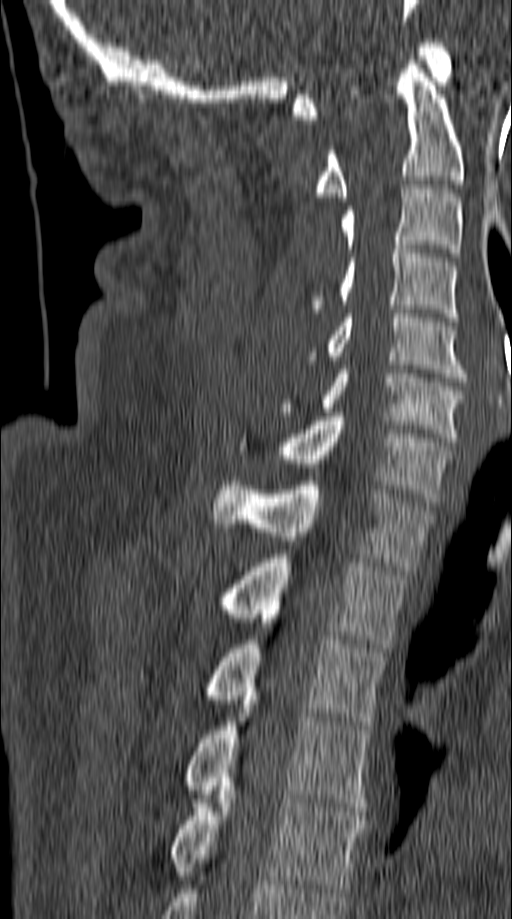
CT, spine — sagittal view — Bone window (WL 400, WW 1800) — 512x919 px — the image spans 149 mm across

Each box given as x1,y1,x2,y2.
Vertebra bounding boxes:
- T5: x1=172, y1=795, x2=368, y2=892
- T4: x1=187, y1=696, x2=371, y2=811
- T3: x1=206, y1=640, x2=385, y2=729
- T2: x1=225, y1=554, x2=409, y2=652
- T1: x1=213, y1=481, x2=433, y2=570
- C7: x1=236, y1=412, x2=452, y2=502
- C6: x1=279, y1=365, x2=464, y2=441
- C5: x1=308, y1=314, x2=466, y2=381
- C4: x1=312, y1=245, x2=457, y2=321
- C3: x1=341, y1=185, x2=461, y2=257
- C2: x1=317, y1=56, x2=464, y2=201
- C1: x1=293, y1=43, x2=452, y2=119